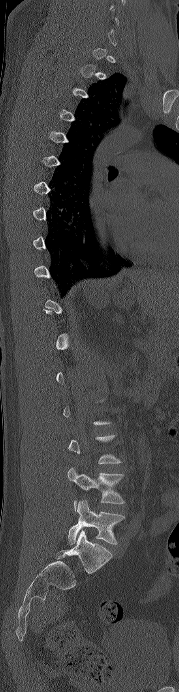
Spine CT — sagittal view
Boxes below are [x1, y1, x2, y2] in pixels.
A vertebra gets a box only on the slices from the first to the last where its cross-section is at least a third of its largest; on a slice outside that range it gets none.
{"vertebrae":{"L5":[68,500,124,544],"L4":[67,467,124,511]}}